Computed tomography of the spine. Sagittal slice 103/162. 162x253 px
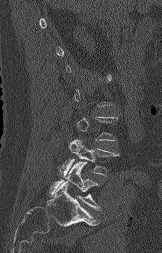
Each box given as x1,y1,x2,y2.
A vertebra gets a box only on the slices from the first to the last where its cross-section is at least a third of its largest; on a slice outside that range it gets none.
L4: x1=59, y1=139, x2=118, y2=177
L5: x1=50, y1=162, x2=100, y2=210